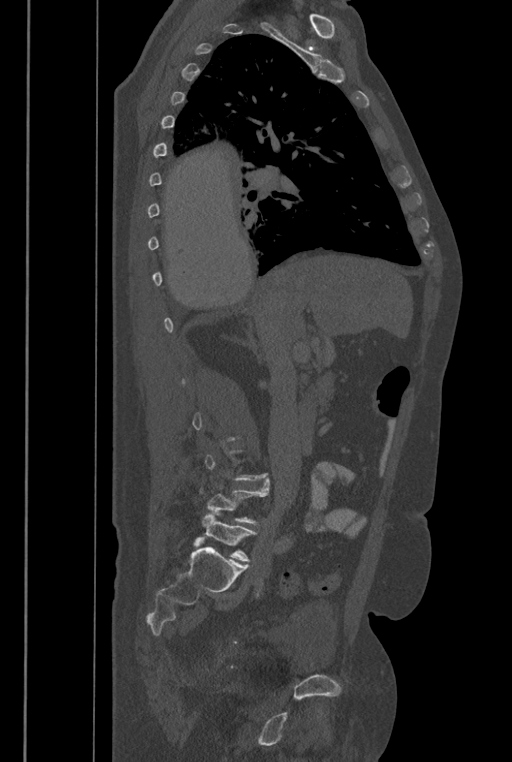

Computed tomography of the spine · sagittal view · bone window
Boxes: x1 y1 x2 y2 (pixel coords, space-separated).
Not every vertebra on this slice has a box: a vertebra is boxed only from the first to the last slice where its cross-section is at least a third of its largest, and this slice is outside that range for at least one of them.
In these labels the spine has an L6, a sixth lumbar vertebra below L5.
Vertebra bounding boxes:
- L5: 200 478 269 524
- L6: 202 511 256 561